CT. Sagittal slice 193/512. image width 140 mm. bone window
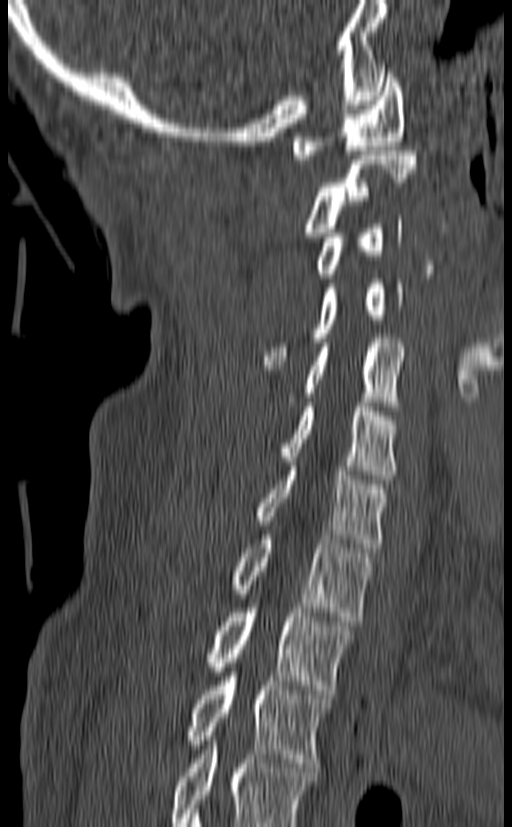
Labels in this scan begin with C1 at the top and end with T3 at the bottom.
<vertebrae><v name="C1" x1="293" y1="69" x2="404" y2="159"/><v name="C2" x1="301" y1="151" x2="417" y2="237"/><v name="C3" x1="312" y1="215" x2="402" y2="278"/><v name="C4" x1="263" y1="279" x2="403" y2="365"/><v name="C5" x1="289" y1="338" x2="406" y2="410"/><v name="C6" x1="279" y1="402" x2="399" y2="479"/><v name="C7" x1="254" y1="462" x2="388" y2="552"/><v name="T1" x1="228" y1="530" x2="373" y2="621"/><v name="T2" x1="206" y1="603" x2="353" y2="694"/><v name="T3" x1="184" y1="672" x2="333" y2="767"/></vertebrae>